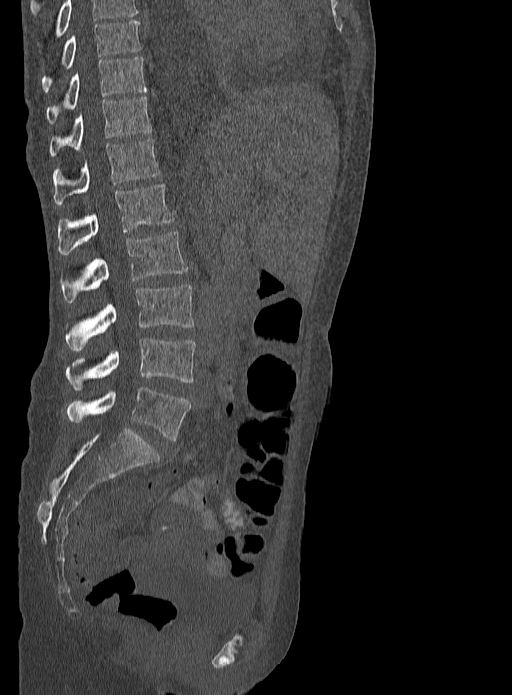
CT, spine — the image is 333 mm wide — sagittal view — bone-window reconstruction
Boxes: x1:y1:x2:y2 in pixels.
Labels in this scan begin with T9 at the top and end with L5 at the bottom.
Vertebra bounding boxes:
- T9: 41:20:140:91
- T10: 46:57:146:124
- T11: 49:95:151:156
- T12: 54:138:160:205
- L1: 57:185:174:254
- L2: 61:232:188:302
- L3: 64:284:194:351
- L4: 66:338:196:390
- L5: 67:387:191:440